Computed tomography of the spine · sagittal view · 350 mm across the image · W/L 1800/400 HU · 512x712 px
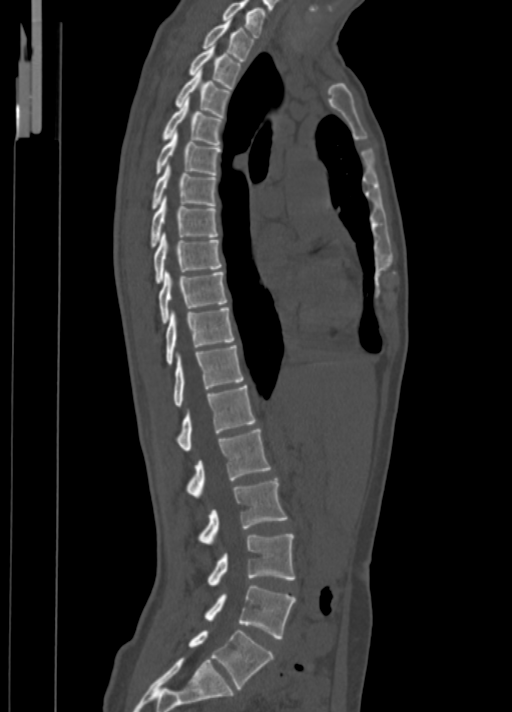

<vertebrae><v name="L5" x1="188" y1="630" x2="274" y2="688"/><v name="L4" x1="205" y1="585" x2="296" y2="638"/><v name="L3" x1="207" y1="534" x2="294" y2="586"/><v name="L2" x1="197" y1="478" x2="287" y2="543"/><v name="L1" x1="186" y1="429" x2="271" y2="496"/><v name="T12" x1="177" y1="385" x2="255" y2="451"/><v name="T11" x1="172" y1="345" x2="243" y2="407"/><v name="T10" x1="165" y1="307" x2="234" y2="365"/><v name="T9" x1="159" y1="271" x2="227" y2="324"/><v name="T8" x1="153" y1="233" x2="221" y2="283"/><v name="T7" x1="150" y1="197" x2="218" y2="248"/><v name="T6" x1="152" y1="165" x2="217" y2="208"/><v name="T5" x1="155" y1="133" x2="221" y2="175"/><v name="T4" x1="162" y1="97" x2="223" y2="145"/><v name="T3" x1="175" y1="69" x2="231" y2="117"/><v name="T2" x1="188" y1="47" x2="242" y2="88"/><v name="T1" x1="202" y1="19" x2="253" y2="60"/><v name="C7" x1="222" y1="0" x2="265" y2="37"/></vertebrae>